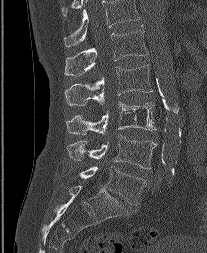
CT — sagittal reformat

In this scan, the topmost labeled vertebra is L1 and the lowest is L5.
<vertebrae><v name="L1" x1="65" y1="25" x2="148" y2="76"/><v name="L2" x1="65" y1="64" x2="152" y2="105"/><v name="L3" x1="66" y1="102" x2="156" y2="135"/><v name="L4" x1="67" y1="135" x2="158" y2="169"/><v name="L5" x1="79" y1="166" x2="145" y2="204"/></vertebrae>